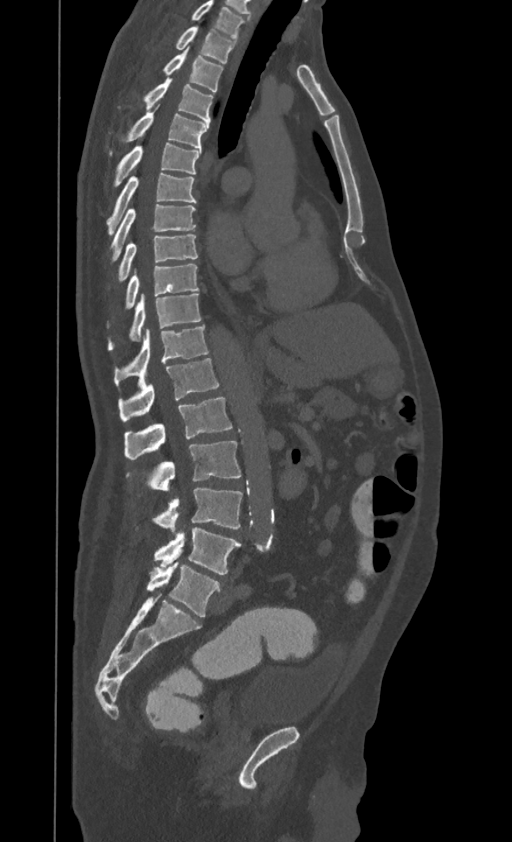
CT, spine · sagittal view · Bone window (WL 400, WW 1800)

Box edges are left/top/right/bottom in pixels.
Labels in this scan begin with T1 at the top and end with L4 at the bottom.
Vertebra bounding boxes:
- T1: left=176, top=26, right=236, bottom=63
- T2: left=163, top=47, right=223, bottom=92
- T3: left=144, top=78, right=213, bottom=124
- T4: left=124, top=106, right=209, bottom=148
- T5: left=114, top=142, right=201, bottom=187
- T6: left=107, top=173, right=196, bottom=233
- T7: left=111, top=204, right=196, bottom=260
- T8: left=118, top=234, right=197, bottom=281
- T9: left=107, top=262, right=198, bottom=327
- T10: left=107, top=293, right=201, bottom=350
- T11: left=114, top=325, right=208, bottom=386
- T12: left=118, top=358, right=219, bottom=421
- L1: left=124, top=397, right=232, bottom=459
- L2: left=127, top=441, right=241, bottom=490
- L3: left=152, top=488, right=243, bottom=530
- L4: left=154, top=527, right=241, bottom=574